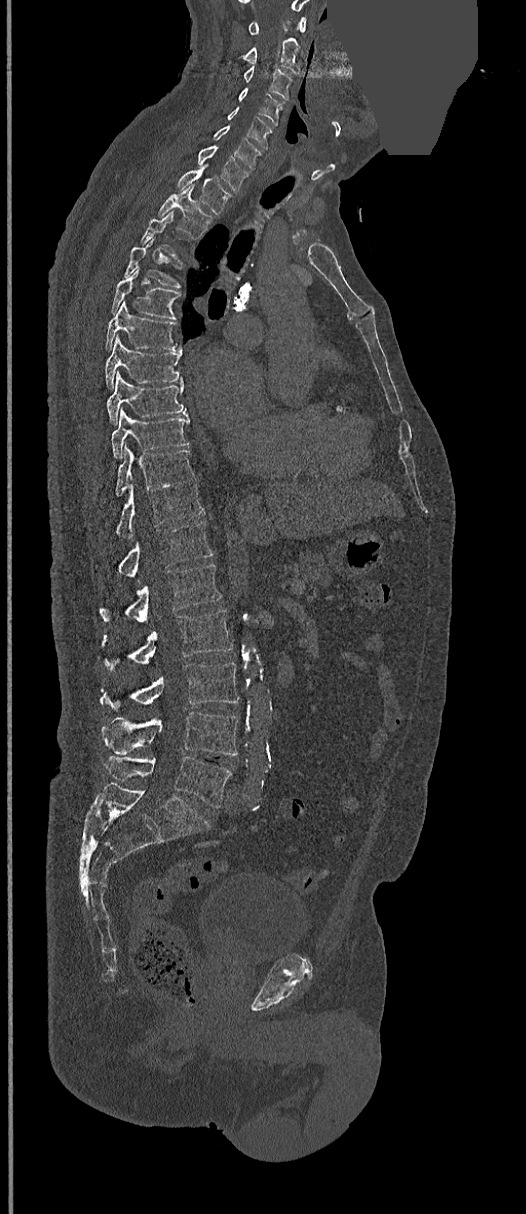
CT spine — sagittal view — 526x1214 px — an area of the scan was removed and filled with constant pixels
Boxes are (x1, y1, x2, y2) in pixels.
Not every vertebra on this slice has a box: a vertebra is boxed only from the first to the last slice where its cross-section is at least a third of its largest, and this slice is outside that range for at least one of them.
Vertebra bounding boxes:
- C1: (248, 17, 306, 35)
- C2: (227, 37, 303, 75)
- C3: (242, 66, 293, 100)
- C4: (238, 87, 283, 125)
- C5: (227, 107, 272, 148)
- C6: (213, 126, 262, 169)
- C7: (197, 146, 251, 192)
- T1: (177, 169, 230, 213)
- T2: (158, 184, 213, 238)
- T4: (123, 237, 181, 288)
- T5: (110, 266, 180, 319)
- T6: (106, 301, 180, 350)
- T7: (104, 336, 182, 388)
- T8: (107, 373, 186, 423)
- T9: (111, 410, 189, 458)
- T10: (115, 446, 194, 496)
- T11: (115, 483, 204, 538)
- T12: (95, 521, 213, 578)
- L1: (99, 564, 222, 622)
- L2: (102, 610, 232, 670)
- L3: (100, 663, 239, 712)
- L4: (102, 711, 237, 755)
- L5: (104, 756, 232, 808)